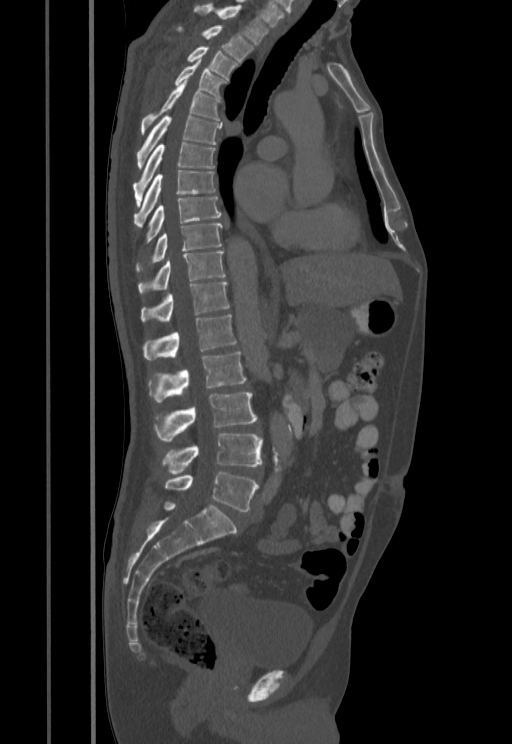 CT, spine. sagittal view. bone window. image 455 mm wide
Columns x1, y1, x2, y2 give each box's top-left and bottom-right pixels.
| vertebra | x1 | y1 | x2 | y2 |
|---|---|---|---|---|
| T1 | 193 | 4 | 270 | 44 |
| T2 | 177 | 25 | 253 | 62 |
| T3 | 187 | 46 | 239 | 78 |
| T4 | 174 | 60 | 228 | 99 |
| T5 | 141 | 80 | 221 | 133 |
| T6 | 136 | 115 | 222 | 168 |
| T7 | 133 | 142 | 215 | 206 |
| T8 | 134 | 170 | 215 | 224 |
| T9 | 144 | 196 | 221 | 244 |
| T10 | 136 | 224 | 222 | 272 |
| T11 | 138 | 252 | 225 | 294 |
| T12 | 141 | 281 | 228 | 323 |
| L1 | 143 | 314 | 236 | 359 |
| L2 | 147 | 352 | 245 | 403 |
| L3 | 154 | 392 | 257 | 442 |
| L4 | 162 | 433 | 262 | 474 |
| L5 | 164 | 471 | 259 | 511 |